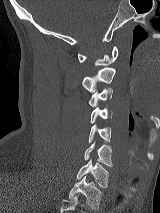

Spine computed tomography · sagittal view · 160x213 px

Each box given as x1,y1,x2,y2.
| vertebra | x1 | y1 | x2 | y2 |
|---|---|---|---|---|
| C1 | 77 | 46 | 118 | 65 |
| C2 | 82 | 67 | 115 | 93 |
| C3 | 89 | 88 | 113 | 106 |
| C4 | 90 | 107 | 112 | 123 |
| C5 | 88 | 124 | 111 | 142 |
| C6 | 84 | 141 | 112 | 166 |
| C7 | 76 | 160 | 109 | 187 |
| T1 | 69 | 176 | 102 | 209 |